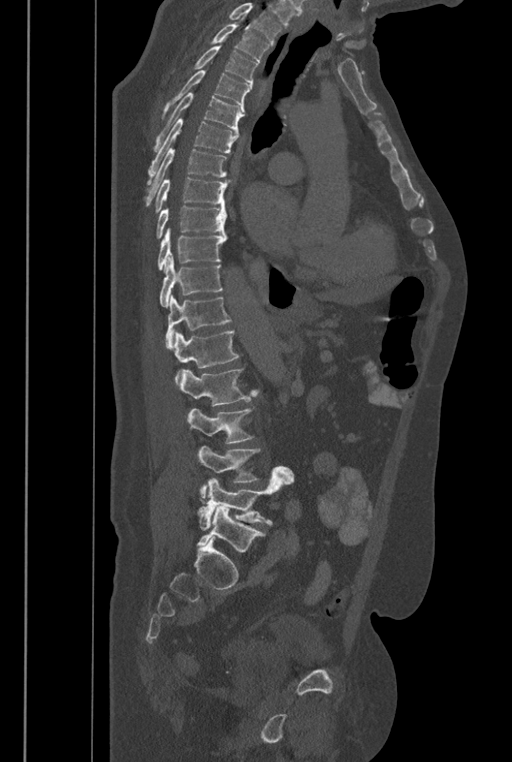 CT spine. the image spans 446 mm across. sagittal reformat
Bounding boxes as [x1, y1, x2, y2] in pixel coordinates.
Where the top of the scan cuts through a vertebra, that vertebra gets no label or box.
In these labels the spine has an L6, a sixth lumbar vertebra below L5.
L6: [196, 505, 265, 552]
L5: [196, 466, 293, 530]
L4: [197, 445, 261, 498]
L3: [187, 407, 254, 443]
L2: [179, 368, 259, 406]
L1: [173, 330, 239, 383]
T12: [165, 294, 231, 349]
T11: [159, 253, 223, 307]
T10: [157, 228, 227, 272]
T9: [156, 206, 227, 238]
T8: [155, 177, 232, 213]
T7: [143, 149, 227, 206]
T6: [146, 119, 238, 184]
T5: [153, 92, 244, 151]
T4: [163, 62, 250, 114]
T3: [194, 44, 258, 88]
T2: [210, 24, 270, 62]